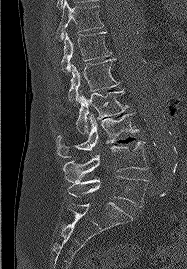

Spine CT · the image is 187 mm wide · sagittal view · bone window
Boxes: x1 y1 x2 y2 (pixel coords, space-separated).
Vertebra bounding boxes:
- L5: 68 176 147 207
- L4: 63 141 147 182
- L3: 56 113 138 157
- L2: 76 89 127 133
- L1: 68 59 119 104
- T12: 61 32 111 72
- T11: 56 0 103 41